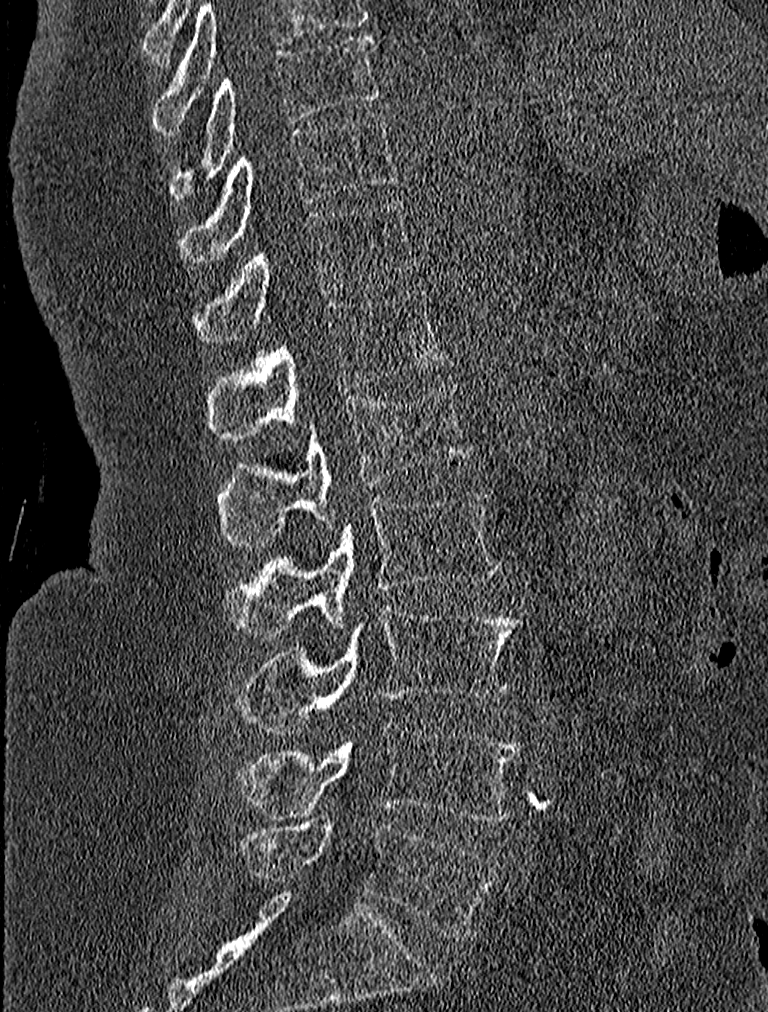
Spine CT — sagittal view — bone-window reconstruction — 768x1012 px. Boxes are (x1, y1, x2, y2) in pixels.
Vertebra bounding boxes:
- L5: (239, 821, 499, 938)
- L4: (239, 722, 520, 820)
- L3: (236, 604, 522, 734)
- L2: (225, 490, 502, 640)
- L1: (219, 379, 471, 546)
- T12: (209, 288, 444, 439)
- T11: (195, 199, 417, 345)
- T10: (178, 111, 400, 262)
- T9: (168, 33, 380, 201)